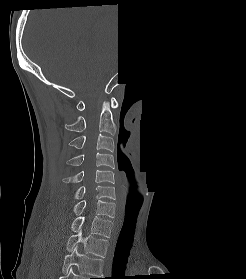

Spine computed tomography — sagittal reformat — bone-window reconstruction — some of the image was removed or blocked out with constant pixels

The highest labeled vertebra in this scan is C1; the lowest is T2.
<vertebrae><v name="T2" x1="66" y1="230" x2="108" y2="257"/><v name="T1" x1="71" y1="213" x2="112" y2="237"/><v name="C7" x1="73" y1="200" x2="115" y2="217"/><v name="C6" x1="74" y1="185" x2="115" y2="199"/><v name="C5" x1="62" y1="169" x2="114" y2="183"/><v name="C4" x1="66" y1="152" x2="114" y2="168"/><v name="C3" x1="68" y1="133" x2="114" y2="152"/><v name="C2" x1="65" y1="101" x2="116" y2="134"/><v name="C1" x1="76" y1="97" x2="118" y2="110"/></vertebrae>